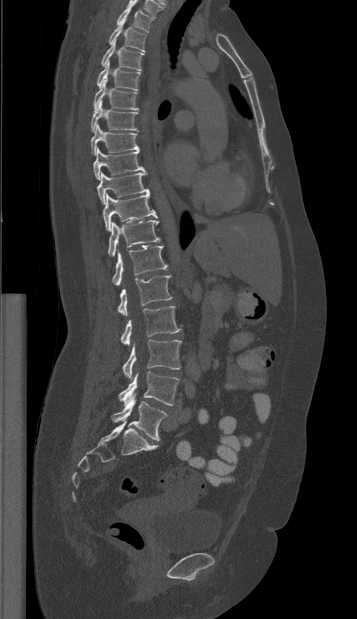 Spine computed tomography · sagittal view · Bone window (WL 400, WW 1800) · the image spans 357 mm across
Coordinates as <box>x1,y1,x2,y2</box>.
Vertebra bounding boxes:
- T1: <box>116,6,155,32</box>
- T2: <box>108,19,146,52</box>
- T3: <box>101,39,144,70</box>
- T4: <box>97,61,140,91</box>
- T5: <box>93,78,138,109</box>
- T6: <box>91,100,138,132</box>
- T7: <box>91,124,139,155</box>
- T8: <box>93,148,144,180</box>
- T9: <box>97,171,149,204</box>
- T10: <box>102,193,157,231</box>
- T11: <box>108,220,159,256</box>
- T12: <box>112,245,168,285</box>
- L1: <box>117,276,172,316</box>
- L2: <box>120,306,180,345</box>
- L3: <box>122,339,181,378</box>
- L4: <box>118,371,179,405</box>
- L5: <box>111,394,167,440</box>